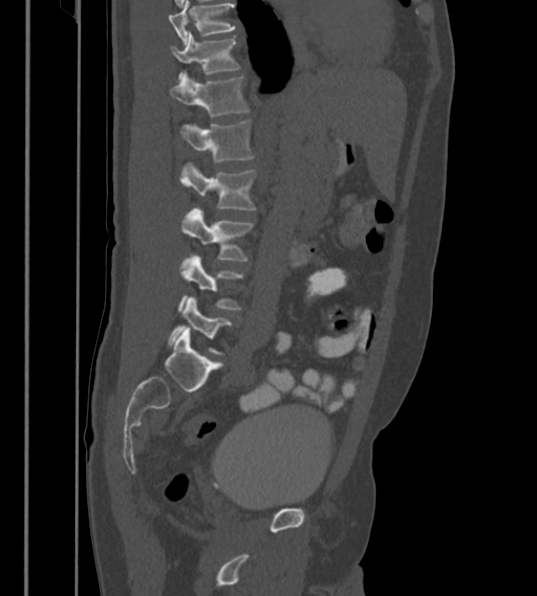 CT, spine — sagittal view
Box values are [left, top, right, bottom] in pixels.
In this scan, the topmost labeled vertebra is T12 and the lowest is L6.
The labels name a sixth lumbar vertebra for this spine: L6, after L5.
{"vertebrae":{"T12":[170,31,239,74],"L1":[170,72,249,116],"L2":[180,120,254,163],"L3":[180,162,255,210],"L4":[182,209,253,260],"L5":[178,255,242,311],"L6":[169,297,232,354]}}